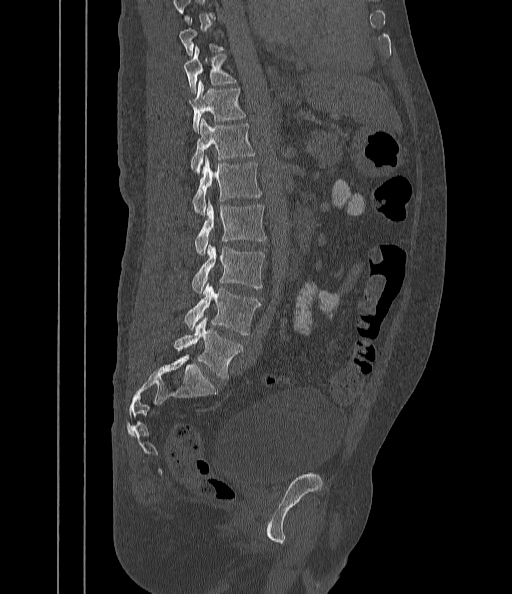 CT, spine; sagittal view; 512x594 px
Each box is [x1, y1, x2, y2] in pixels: top-left corner, then bottom-right corner.
Each vertebra is boxed only on the slices from the first to the last where its cross-section reaches a third of its largest, so a slice outside that range leaves it unboxed.
{"vertebrae":{"L5":[174,318,243,380],"L4":[184,283,261,334],"L3":[192,243,264,293],"L2":[195,202,267,254],"L1":[192,156,261,214],"T12":[191,118,255,173],"T11":[191,80,246,131],"T10":[184,47,236,93]}}